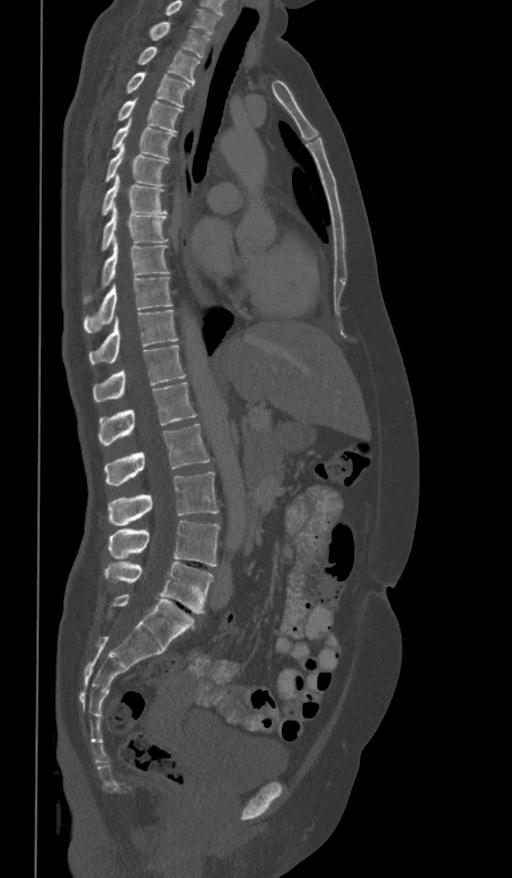 Spine computed tomography · sagittal view
Each box given as x1,y1,x2,y2. In this scan, the topmost labeled vertebra is T1 and the lowest is L5. The labeled vertebrae in this slice are: T1 at x1=149, y1=22, x2=210, y2=58, T2 at x1=137, y1=47, x2=200, y2=83, T3 at x1=126, y1=73, x2=191, y2=106, T4 at x1=116, y1=98, x2=182, y2=132, T5 at x1=110, y1=120, x2=175, y2=159, T6 at x1=105, y1=144, x2=168, y2=185, T7 at x1=100, y1=175, x2=168, y2=215, T8 at x1=100, y1=204, x2=168, y2=250, T9 at x1=83, y1=237, x2=169, y2=303, T10 at x1=83, y1=277, x2=172, y2=332, T11 at x1=89, y1=310, x2=179, y2=364, T12 at x1=93, y1=345, x2=186, y2=402, L1 at x1=98, y1=382, x2=197, y2=444, L2 at x1=105, y1=423, x2=210, y2=485, L3 at x1=108, y1=471, x2=219, y2=526, L4 at x1=108, y1=521, x2=220, y2=567, L5 at x1=103, y1=562, x2=213, y2=613.